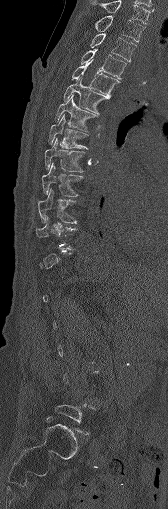

Spine CT. sagittal view
Each vertebra maps to its box as [x1, y1, x2, y2], the pixel coordinates of its top-left and bottom-right corners.
A vertebra is boxed only from the first to the last slice where its cross-section is at least a third of its largest; slices outside that range leave it without a box.
{"vertebrae":{"C7":[90,0,150,24],"T1":[80,15,144,42],"T2":[90,33,136,61],"T3":[81,50,126,78],"T4":[71,59,118,98],"T5":[63,78,107,114],"T6":[55,95,97,130],"T7":[48,115,88,148],"T8":[44,138,85,172],"T9":[42,163,83,196],"T10":[38,188,76,222]}}